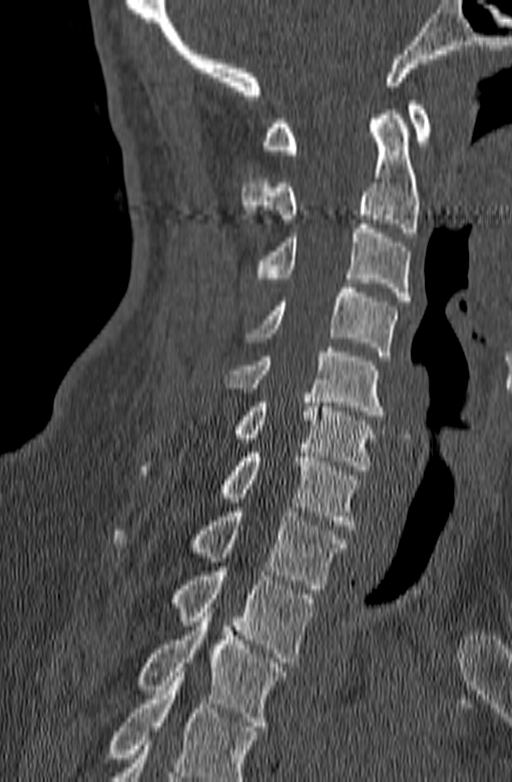

CT, spine — the image is 140 mm wide — sagittal view. Boxes: x1 y1 x2 y2 (pixel coords, space-separated).
Vertebrae that run past the bottom of the scan are left unlabeled.
Vertebra bounding boxes:
- C1: 261 101 432 154
- C2: 241 110 419 237
- C3: 257 224 410 301
- C4: 246 283 397 360
- C5: 224 347 384 420
- C6: 232 393 377 470
- C7: 139 453 359 529
- T1: 113 507 348 589
- T2: 170 567 315 662
- T3: 137 608 286 730